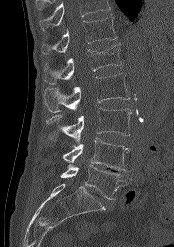
CT, spine · sagittal reformat · bone-window reconstruction
Boxes are given in columns x1, y1, x2, y2, the pixel coordinates of their top-left and bottom-right corners.
Where the top of the scan cuts through a vertebra, that vertebra gets no label or box.
| vertebra | x1 | y1 | x2 | y2 |
|---|---|---|---|---|
| L5 | 60 | 165 | 131 | 199 |
| L4 | 62 | 138 | 129 | 171 |
| L3 | 46 | 108 | 131 | 142 |
| L2 | 43 | 73 | 130 | 113 |
| L1 | 44 | 44 | 121 | 84 |
| T12 | 41 | 17 | 117 | 54 |